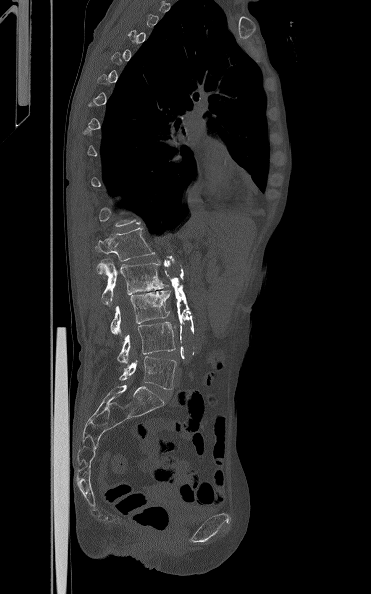

Spine CT. sagittal reformat
Not every vertebra on this slice has a box: a vertebra is boxed only from the first to the last slice where its cross-section is at least a third of its largest, and this slice is outside that range for at least one of them.
<vertebrae><v name="L5" x1="119" y1="356" x2="176" y2="389"/><v name="L4" x1="117" y1="322" x2="175" y2="363"/><v name="L3" x1="110" y1="290" x2="171" y2="334"/><v name="L2" x1="96" y1="261" x2="168" y2="305"/><v name="L1" x1="95" y1="227" x2="155" y2="261"/></vertebrae>